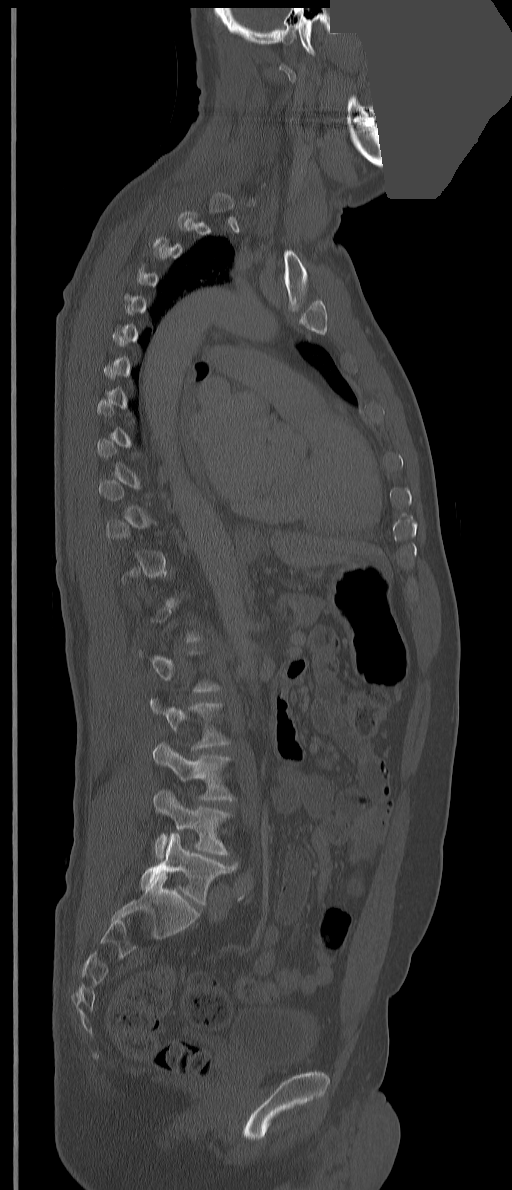 Spine computed tomography — sagittal reformat — some of the image was removed or blocked out with constant pixels
Boxes below are [x1, y1, x2, y2] in pixels.
Each vertebra is boxed only on the slices from the first to the last where its cross-section reaches a third of its largest, so a slice outside that range leaves it unboxed.
{"vertebrae":{"L2":[150,698,230,750],"L3":[153,741,234,800],"L4":[153,789,230,859],"L5":[139,833,237,905]}}